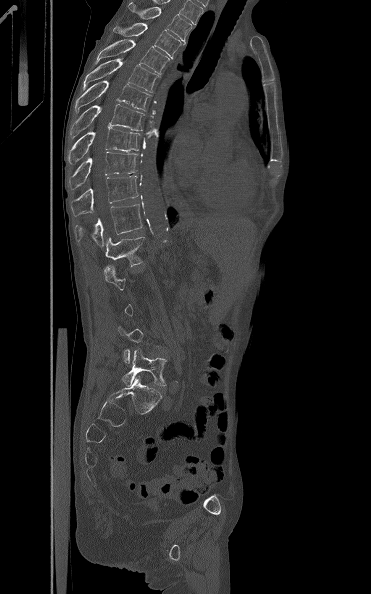 CT, spine — sagittal view. Each row gives a vertebra's box as x1, y1, x2, y2 in pixels: top-left corner, then bottom-right corner.
A vertebra gets a box only on the slices from the first to the last where its cross-section is at least a third of its largest; on a slice outside that range it gets none.
| vertebra | x1 | y1 | x2 | y2 |
|---|---|---|---|---|
| T3 | 128 | 2 | 191 | 43 |
| T4 | 113 | 23 | 186 | 58 |
| T5 | 95 | 40 | 170 | 75 |
| T6 | 83 | 58 | 159 | 92 |
| T7 | 75 | 80 | 151 | 110 |
| T8 | 70 | 104 | 144 | 136 |
| T9 | 68 | 127 | 140 | 163 |
| T10 | 69 | 152 | 138 | 189 |
| T11 | 69 | 176 | 138 | 215 |
| T12 | 75 | 204 | 142 | 246 |
| L1 | 105 | 229 | 151 | 266 |
| L5 | 123 | 349 | 168 | 386 |